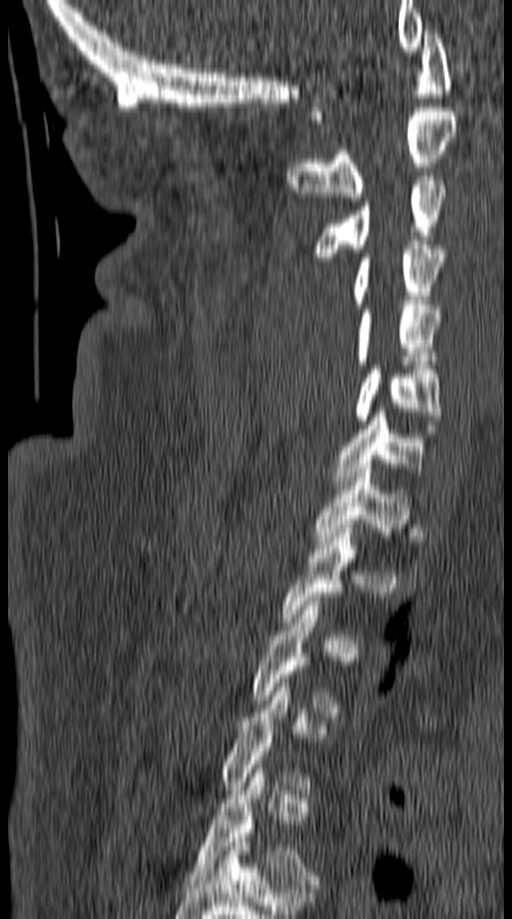
Spine computed tomography · 149 mm image width · sagittal view · 512x919 px
Each box given as x1,y1,x2,y2.
A vertebra gets a box only on the slices from the first to the last where its cross-section is at least a third of its largest; on a slice outside that range it gets none.
| vertebra | x1 | y1 | x2 | y2 |
|---|---|---|---|---|
| C1 | 310 | 30 | 451 | 119 |
| C2 | 286 | 107 | 457 | 201 |
| C3 | 311 | 176 | 447 | 261 |
| C4 | 352 | 241 | 448 | 308 |
| C5 | 355 | 305 | 440 | 364 |
| C6 | 355 | 365 | 442 | 424 |
| C7 | 333 | 408 | 423 | 489 |
| T1 | 313 | 464 | 410 | 545 |